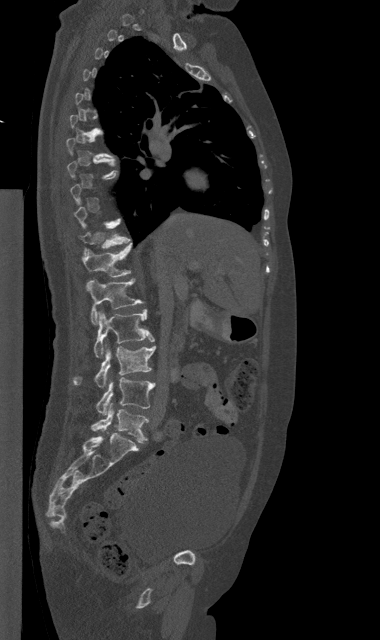

Spine CT. sagittal view. Bone window (WL 400, WW 1800)
Boxes: x1:y1:x2:y2 in pixels.
A vertebra gets a box only on the slices from the first to the last where its cross-section is at least a third of its largest; on a slice outside that range it gets none.
Vertebra bounding boxes:
- L5: 91:403:148:442
- L4: 96:377:155:415
- L3: 73:344:155:387
- L2: 94:309:154:357
- L1: 88:278:143:324
- T12: 82:243:132:289
- T11: 81:220:129:255